CT spine · sagittal view · bone-window reconstruction · 16 vertebrae labeled in this scan
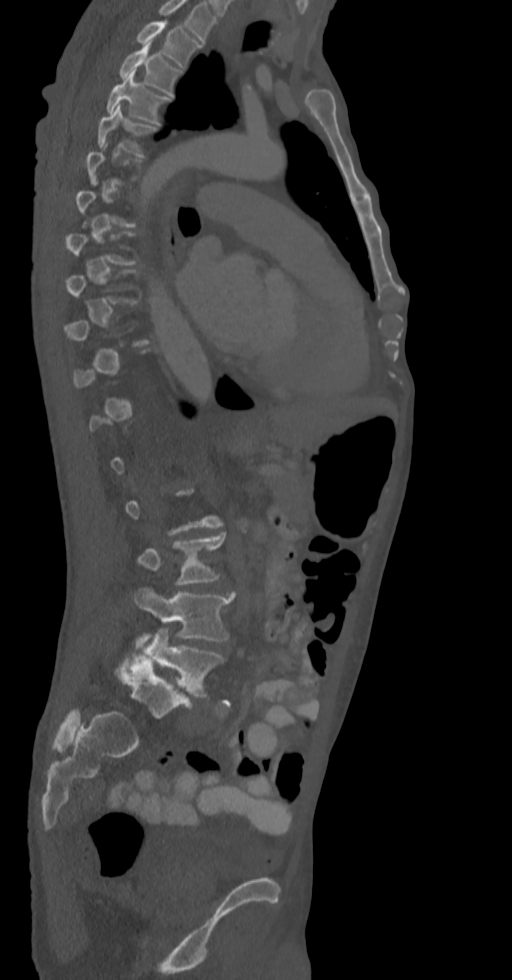
Each vertebra is boxed only on the slices from the first to the last where its cross-section reaches a third of its largest, so a slice outside that range leaves it unboxed.
Labels in this scan begin with T2 at the top and end with L5 at the bottom.
<vertebrae><v name="T2" x1="137" y1="21" x2="200" y2="68"/><v name="T3" x1="119" y1="44" x2="180" y2="97"/><v name="T4" x1="106" y1="72" x2="171" y2="124"/><v name="T5" x1="97" y1="105" x2="157" y2="154"/><v name="L3" x1="137" y1="532" x2="226" y2="584"/><v name="L4" x1="134" y1="587" x2="233" y2="647"/><v name="L5" x1="145" y1="628" x2="224" y2="697"/></vertebrae>